CT, spine; sagittal reformat; Bone window (WL 400, WW 1800); 512x850 px
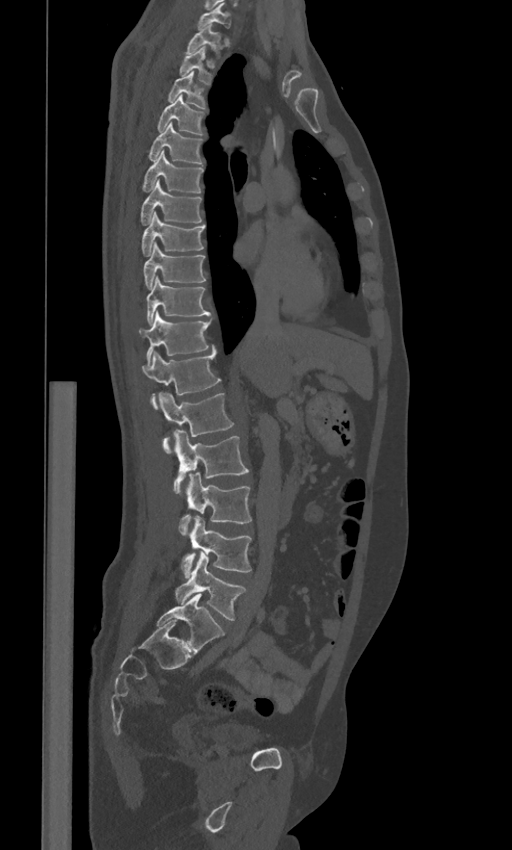 Bounding boxes as [x1, y1, x2, y2] in pixel coordinates.
The labels name a sixth lumbar vertebra for this spine: L6, after L5.
Vertebra bounding boxes:
- C7: [198, 4, 230, 28]
- T1: [186, 24, 222, 53]
- T2: [179, 46, 210, 83]
- T3: [168, 71, 206, 108]
- T4: [157, 95, 203, 134]
- T5: [149, 123, 202, 163]
- T6: [142, 150, 203, 192]
- T7: [141, 181, 201, 225]
- T8: [142, 212, 205, 255]
- T9: [143, 242, 206, 288]
- T10: [146, 276, 210, 322]
- T11: [139, 311, 210, 364]
- T12: [142, 346, 221, 409]
- L1: [158, 392, 234, 453]
- L2: [173, 431, 249, 493]
- L3: [179, 472, 251, 535]
- L4: [181, 515, 251, 576]
- L5: [175, 552, 245, 620]
- L6: [157, 593, 225, 653]